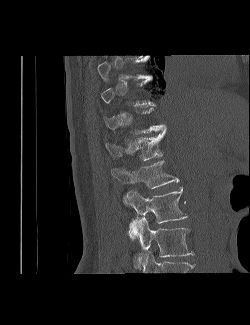

CT, spine — sagittal reformat — bone window — 250x325 px

Boxes are given in columns x1, y1, x2, y2, the pixel coordinates of their top-left and bottom-right corners.
Not every vertebra on this slice has a box: a vertebra is boxed only from the first to the last slice where its cross-section is at least a third of its largest, and this slice is outside that range for at least one of them.
The highest labeled vertebra in this scan is T9; the lowest is L3.
| vertebra | x1 | y1 | x2 | y2 |
|---|---|---|---|---|
| T9 | 97 | 56 | 149 | 81 |
| T12 | 105 | 130 | 166 | 160 |
| L1 | 111 | 160 | 179 | 188 |
| L2 | 124 | 187 | 187 | 239 |
| L3 | 133 | 217 | 193 | 269 |